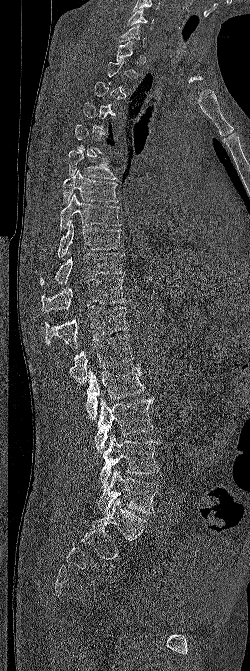

Computed tomography of the spine; sagittal view; bone window; the image is 250 mm wide
Boxes: x1:y1:x2:y2 in pixels.
Each vertebra is boxed only on the slices from the first to the last where its cross-section reaches a third of its largest, so a slice outside that range leaves it unboxed.
Vertebra bounding boxes:
- L5: 98:468:161:515
- L4: 100:434:161:488
- L3: 94:397:154:453
- L2: 85:365:144:419
- L1: 69:334:133:384
- T12: 45:305:128:348
- T11: 41:278:125:312
- T10: 40:252:123:285
- T9: 57:220:122:257
- T8: 60:193:121:230
- T7: 63:170:118:204
- T6: 68:148:116:179
- C6: 127:8:153:30